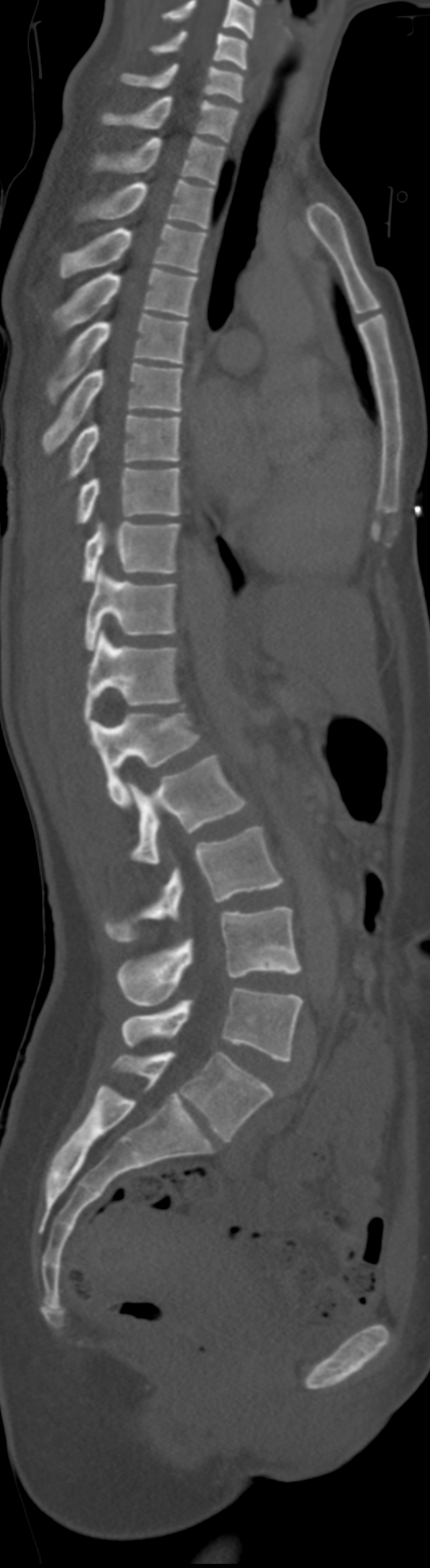 Spine CT. sagittal view
Columns x1, y1, x2, y2 give each box's top-left and bottom-right pixels.
In this scan, the topmost labeled vertebra is C5 and the lowest is L6.
These labels give the spine a sixth lumbar vertebra, L6, below L5. In these labels the spine has no T12: the thoracic vertebrae end at T11, and L1 comes next.
| vertebra | x1 | y1 | x2 | y2 |
|---|---|---|---|---|
| C5 | 149 | 29 | 247 | 69 |
| C6 | 120 | 62 | 244 | 102 |
| C7 | 102 | 96 | 239 | 141 |
| T1 | 92 | 136 | 226 | 185 |
| T2 | 77 | 180 | 212 | 228 |
| T3 | 59 | 224 | 206 | 277 |
| T4 | 52 | 269 | 197 | 331 |
| T5 | 45 | 314 | 188 | 403 |
| T6 | 41 | 363 | 181 | 454 |
| T7 | 66 | 414 | 181 | 478 |
| T8 | 75 | 468 | 181 | 524 |
| T9 | 81 | 522 | 179 | 581 |
| T10 | 84 | 567 | 177 | 650 |
| T11 | 83 | 632 | 181 | 723 |
| L1 | 91 | 712 | 199 | 807 |
| L2 | 128 | 754 | 249 | 866 |
| L3 | 104 | 826 | 285 | 941 |
| L4 | 118 | 907 | 302 | 1007 |
| L5 | 122 | 987 | 302 | 1062 |
| L6 | 113 | 1051 | 273 | 1141 |